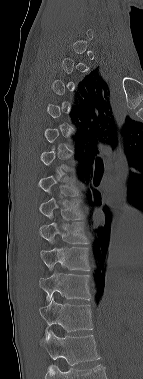 Spine computed tomography — sagittal view
Boxes are (x1, y1, x2, y2) in pixels.
A vertebra is boxed only from the first to the last slice where its cross-section is at least a third of its largest; slices outside that range leave it without a box.
In this scan, the topmost labeled vertebra is C6 and the lowest is T12.
Vertebra bounding boxes:
- T7: (38, 176, 81, 196)
- T8: (39, 198, 84, 219)
- T9: (39, 222, 89, 243)
- T10: (40, 247, 90, 270)
- T11: (39, 268, 90, 301)
- T12: (39, 297, 93, 337)